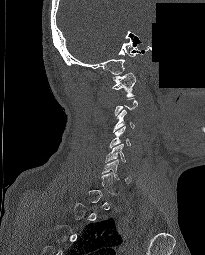
CT · sagittal reformat · part of the scan has been removed (filled with constant black)
Boxes below are [x1, y1, x2, y2] in pixels.
A vertebra gets a box only on the slices from the first to the last where its cross-section is at least a third of its largest; on a slice outside that range it gets none.
{"vertebrae":{"C1":[112,72,135,97],"C3":[113,109,134,132],"C4":[110,126,130,147],"C5":[105,144,125,162],"C6":[102,159,131,183]}}